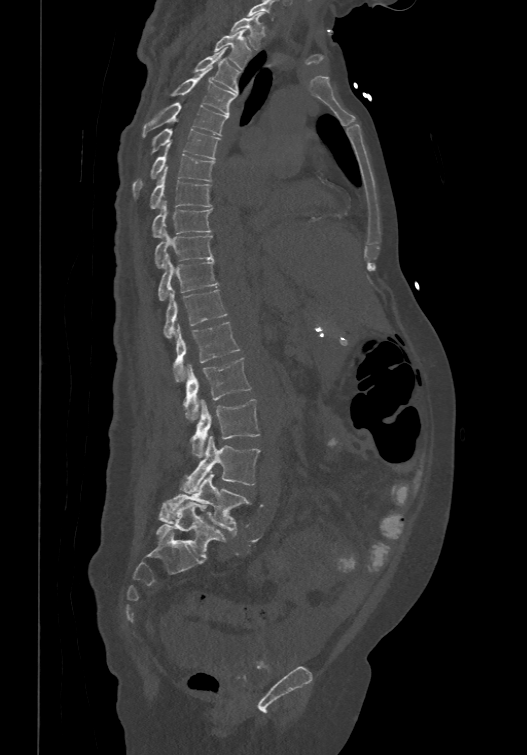 Spine CT · sagittal reformat

Labels in this scan begin with T1 at the top and end with L6 at the bottom.
These labels give the spine a sixth lumbar vertebra, L6, below L5.
<vertebrae><v name="T1" x1="231" y1="12" x2="264" y2="49"/><v name="T2" x1="214" y1="29" x2="251" y2="67"/><v name="T3" x1="194" y1="47" x2="239" y2="92"/><v name="T4" x1="172" y1="66" x2="237" y2="114"/><v name="T5" x1="142" y1="102" x2="227" y2="137"/><v name="T6" x1="150" y1="127" x2="220" y2="157"/><v name="T7" x1="132" y1="144" x2="215" y2="197"/><v name="T8" x1="149" y1="167" x2="212" y2="207"/><v name="T9" x1="151" y1="200" x2="212" y2="236"/><v name="T10" x1="154" y1="228" x2="213" y2="266"/><v name="T11" x1="157" y1="255" x2="218" y2="300"/><v name="T12" x1="164" y1="288" x2="226" y2="336"/><v name="L1" x1="172" y1="321" x2="240" y2="381"/><v name="L2" x1="183" y1="356" x2="251" y2="421"/><v name="L3" x1="191" y1="399" x2="260" y2="457"/><v name="L4" x1="180" y1="436" x2="260" y2="493"/><v name="L5" x1="158" y1="473" x2="250" y2="534"/><v name="L6" x1="156" y1="501" x2="226" y2="558"/></vertebrae>